CT · sagittal view
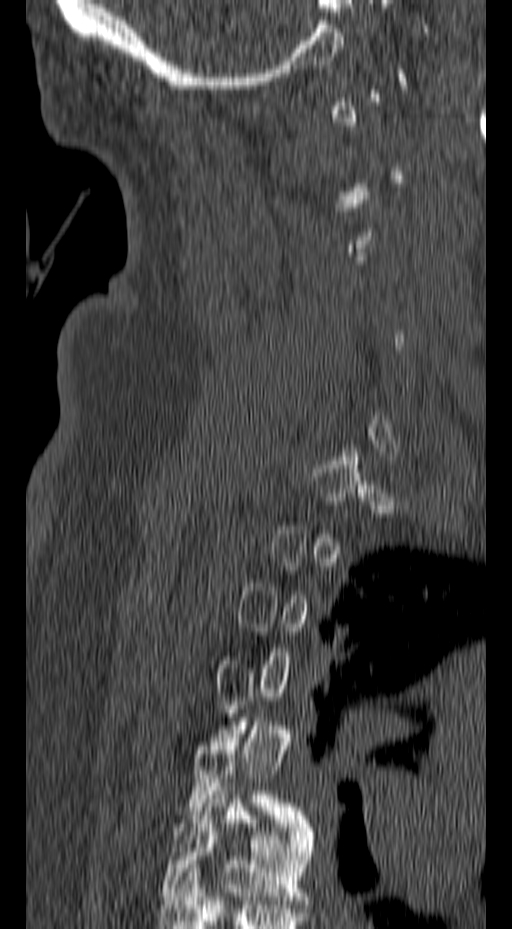
Boxes are (x1, y1, x2, y2) in pixels.
Not every vertebra on this slice has a box: a vertebra is boxed only from the first to the last slice where its cross-section is at least a third of its largest, and this slice is outside that range for at least one of them.
T6: (161, 787, 316, 904)
T5: (187, 717, 309, 827)